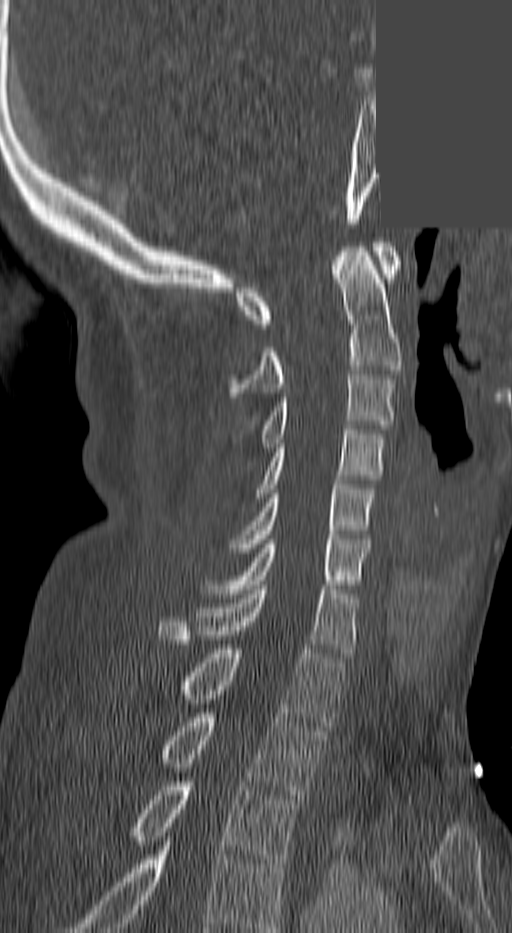 Computed tomography of the spine — sagittal reformat — a uniform gray block covers part of the image
Boxes: x1:y1:x2:y2 in pixels.
The highest labeled vertebra in this scan is C1; the lowest is T3.
C1: 235:242:399:328
C2: 232:247:399:397
C3: 261:375:395:447
C4: 257:430:384:497
C5: 232:480:373:552
C6: 202:539:370:593
C7: 159:585:355:657
T1: 184:649:344:730
T2: 162:713:323:799
T3: 133:777:300:863